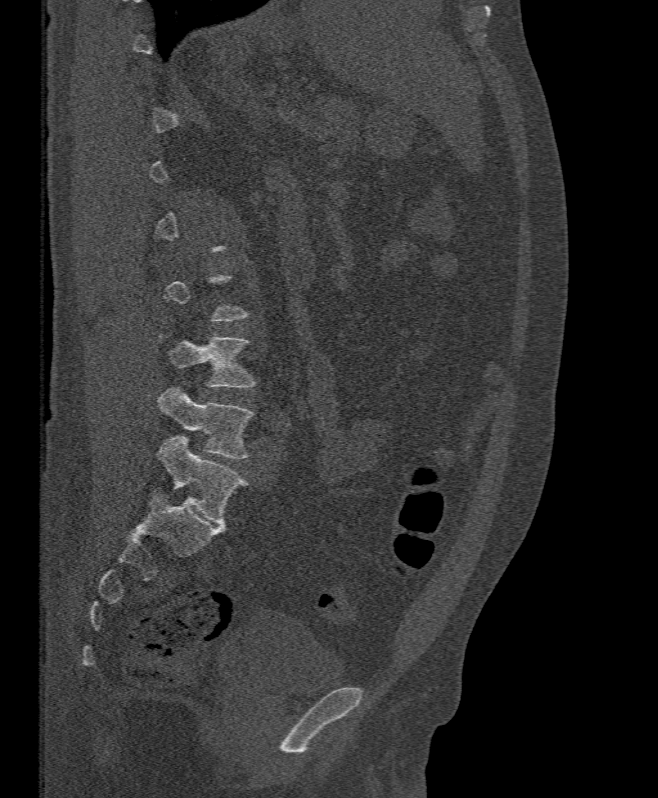 Spine CT. sagittal view. bone window. the image spans 395 mm across
Coordinates as <box>x1,y1,x2,y2</box>. A vertebra is boxed only from the first to the last slice where its cross-section is at least a third of its largest; slices outside that range leave it without a box. The labeled vertebrae in this slice are: L4 at <box>158,335,255,387</box>, L5 at <box>157,387,255,459</box>.